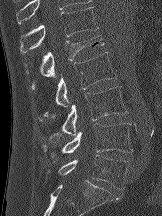

CT, spine. sagittal reformat. 162 mm across the image

In the table, x1 and y1 are a box's top-left corner and x2 and y2 its bottom-right corner, in pixels.
| vertebra | x1 | y1 | x2 | y2 |
|---|---|---|---|---|
| T12 | 20 | 7 | 98 | 54 |
| L1 | 25 | 35 | 105 | 89 |
| L2 | 44 | 52 | 116 | 117 |
| L3 | 41 | 86 | 128 | 142 |
| L4 | 41 | 123 | 133 | 160 |
| L5 | 47 | 155 | 128 | 189 |